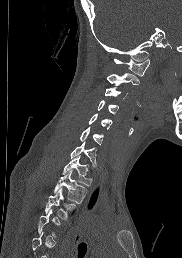

Computed tomography of the spine; sagittal view
Each box is [x1, y1, x2, y2] in pixels: top-left corner, then bottom-right corner.
Each vertebra is boxed only on the slices from the first to the last where its cross-section reaches a third of its largest, so a slice outside that range leaves it unboxed.
{"vertebrae":{"C1":[113,58,149,76],"C2":[107,73,139,85],"C3":[104,87,127,98],"C4":[97,100,119,113],"C5":[88,113,112,129],"C6":[80,126,103,144],"C7":[70,141,96,167],"T1":[62,155,91,185],"T2":[54,170,86,203],"T3":[45,188,76,219]}}